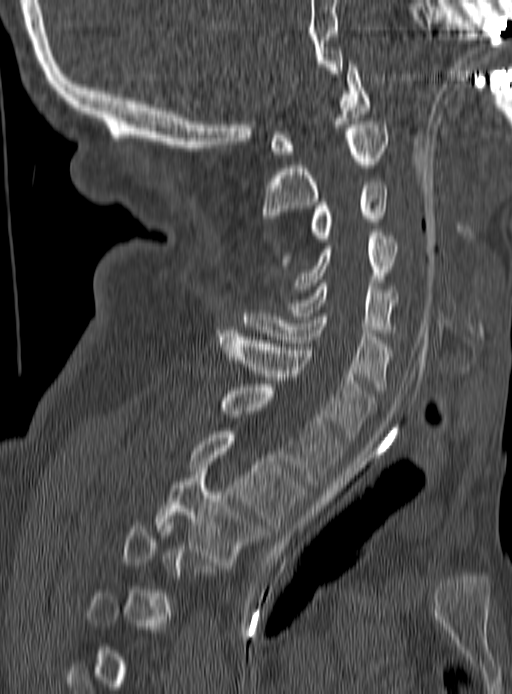

Computed tomography of the spine — sagittal view. Coordinates as <box>x1,y1,x2,y2</box>.
A vertebra gets a box only on the slices from the first to the last where its cross-section is at least a third of its largest; on a slice outside that range it gets none.
C1: <box>270,64,370,154</box>
C2: <box>262,121,388,221</box>
C3: <box>280,182,388,265</box>
C4: <box>294,232,396,292</box>
C5: <box>289,283,396,332</box>
C6: <box>243,310,392,390</box>
C7: <box>216,330,374,440</box>
T1: <box>219,384,342,484</box>
T2: <box>189,431,304,528</box>
T3: <box>154,472,264,565</box>